Spine computed tomography · image 399 mm wide · sagittal plane, index 270 · 512x637 px
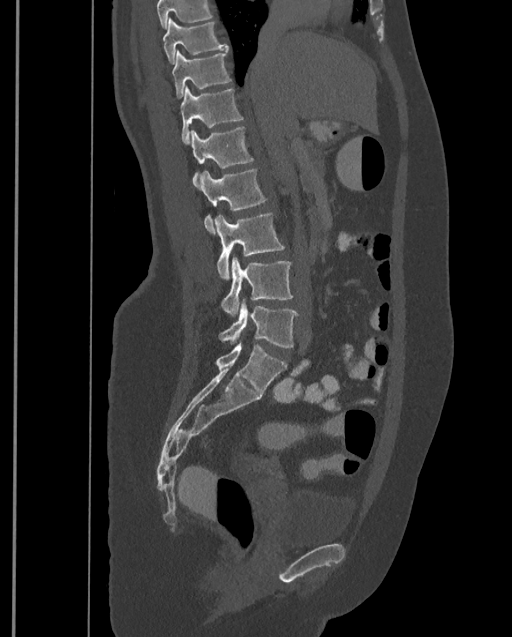

Boxes are (x1, y1, x2, y2) in pixels. Where the top of the scan cuts through a vertebra, that vertebra gets no label or box. Labels in this scan begin with T9 at the top and end with L4 at the bottom. The labeled vertebrae in this slice are: T9 at (163, 17, 227, 64), T10 at (172, 50, 231, 98), T11 at (181, 85, 244, 145), T12 at (190, 127, 253, 187), L1 at (200, 170, 267, 233), L2 at (215, 212, 284, 280), L3 at (221, 258, 293, 315), L4 at (219, 299, 298, 347).